CT. sagittal reformat. 195x629 px. scan covers 20 annotated vertebrae
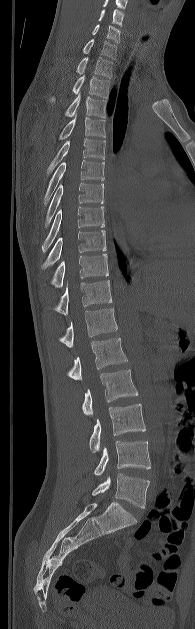 Each box given as x1,y1,x2,y2.
| vertebra | x1 | y1 | x2 | y2 |
|---|---|---|---|---|
| C5 | 98 | 9 | 123 | 26 |
| C6 | 92 | 24 | 120 | 42 |
| C7 | 82 | 39 | 116 | 59 |
| T1 | 76 | 56 | 112 | 78 |
| T2 | 50 | 75 | 109 | 102 |
| T3 | 65 | 94 | 105 | 117 |
| T4 | 59 | 116 | 105 | 139 |
| T5 | 47 | 138 | 105 | 174 |
| T6 | 44 | 160 | 104 | 203 |
| T7 | 45 | 183 | 103 | 225 |
| T8 | 42 | 206 | 104 | 251 |
| T9 | 41 | 230 | 106 | 269 |
| T10 | 51 | 254 | 108 | 287 |
| T11 | 53 | 280 | 112 | 315 |
| T12 | 58 | 308 | 117 | 347 |
| L1 | 67 | 338 | 127 | 380 |
| L2 | 82 | 369 | 137 | 416 |
| L3 | 89 | 404 | 145 | 452 |
| L4 | 94 | 441 | 150 | 475 |
| L5 | 92 | 473 | 149 | 508 |